Spine computed tomography — sagittal view — Bone window (WL 400, WW 1800) — scan covers 17 annotated vertebrae
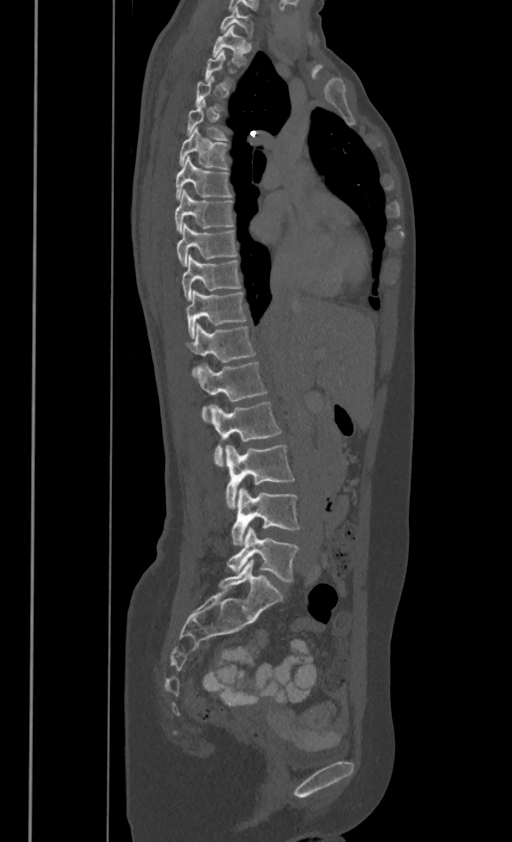

Boxes are given in columns x1, y1, x2, y2, the pixel coordinates of their top-left and bottom-right corners.
A vertebra gets a box only on the slices from the first to the last where its cross-section is at least a third of its largest; on a slice outside that range it gets none.
In these labels the thoracic vertebrae end at T11, so L1 follows T11.
| vertebra | x1 | y1 | x2 | y2 |
|---|---|---|---|---|
| C7 | 220 | 6 | 252 | 36 |
| T1 | 212 | 25 | 251 | 63 |
| T4 | 187 | 99 | 227 | 139 |
| T5 | 179 | 127 | 228 | 169 |
| T6 | 175 | 155 | 231 | 198 |
| T7 | 175 | 190 | 234 | 231 |
| T8 | 176 | 222 | 236 | 264 |
| T9 | 182 | 254 | 240 | 299 |
| T10 | 187 | 289 | 246 | 337 |
| T11 | 187 | 324 | 255 | 374 |
| L1 | 197 | 361 | 267 | 418 |
| L2 | 211 | 400 | 281 | 466 |
| L3 | 225 | 445 | 295 | 508 |
| L4 | 231 | 487 | 299 | 545 |
| L5 | 227 | 528 | 299 | 582 |